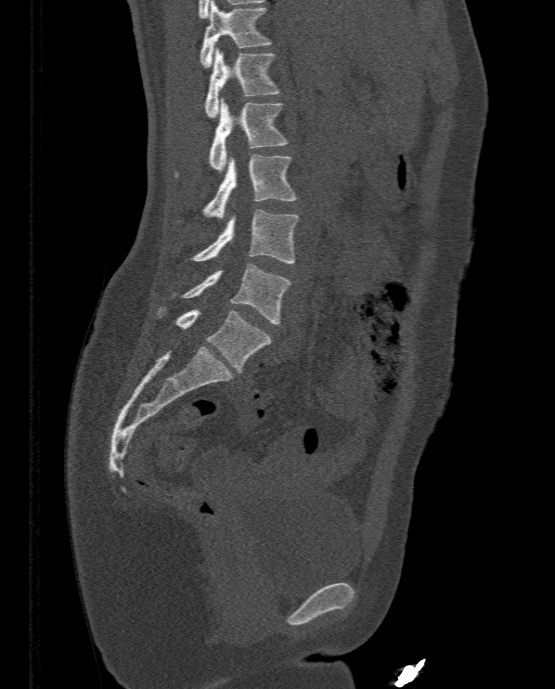
CT spine — sagittal view — bone window
Boxes are given in columns x1, y1, x2, y2, the pixel coordinates of their top-left and bottom-right corners.
| vertebra | x1 | y1 | x2 | y2 |
|---|---|---|---|---|
| T11 | 199 | 0 | 270 | 67 |
| T12 | 204 | 47 | 279 | 118 |
| L1 | 175 | 98 | 287 | 176 |
| L2 | 177 | 154 | 295 | 220 |
| L3 | 193 | 210 | 297 | 263 |
| L4 | 173 | 263 | 291 | 323 |
| L5 | 157 | 307 | 270 | 372 |